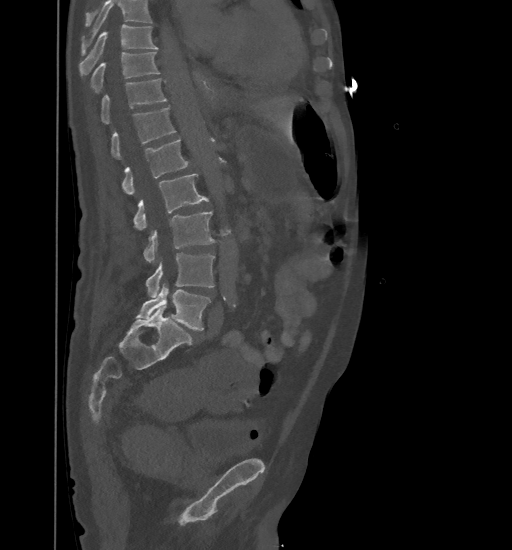

CT · sagittal view · the image spans 461 mm across

Boxes are (x1, y1, x2, y2) in pixels.
Where the top of the scan cuts through a vertebra, that vertebra gets no label or box.
L5: (136, 283, 211, 330)
L4: (145, 253, 214, 297)
L3: (144, 211, 214, 262)
L2: (133, 173, 208, 230)
L1: (122, 139, 189, 195)
T12: (111, 107, 175, 158)
T11: (101, 78, 167, 124)
T10: (91, 52, 160, 92)
T9: (79, 25, 158, 75)